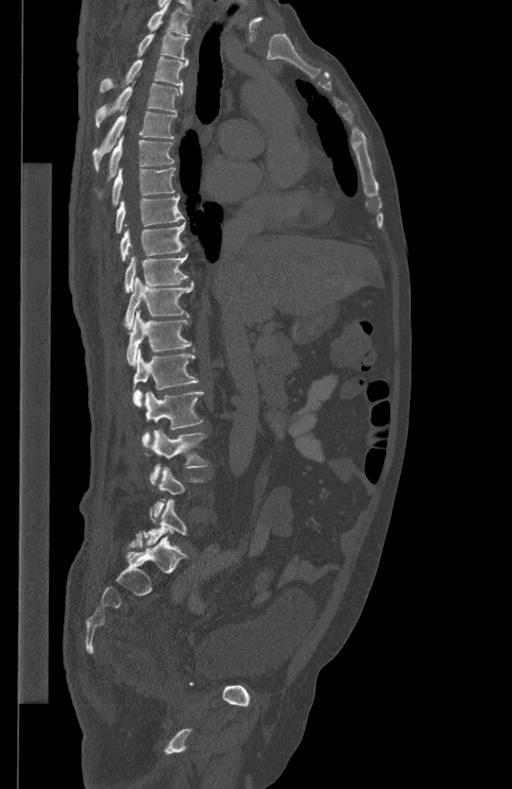 Computed tomography of the spine; sagittal view; 512x789 px
Boxes are (x1, y1, x2, y2) in pixels. Each vertebra is boxed only on the slices from the first to the last where its cross-section reaches a third of its largest, so a slice outside that range leaves it unboxed. Vertebrae labeled: T1 at (147, 0, 194, 35), T2 at (137, 33, 189, 58), T3 at (99, 56, 188, 91), T4 at (95, 84, 183, 127), T5 at (92, 107, 177, 170), T6 at (99, 137, 175, 195), T7 at (112, 167, 176, 206), T8 at (116, 195, 184, 234), T9 at (120, 223, 185, 260), T10 at (124, 254, 189, 292), T11 at (124, 277, 194, 329), T12 at (126, 311, 191, 365), L1 at (133, 349, 198, 407), L2 at (141, 392, 204, 449), L3 at (150, 429, 208, 484), L5 at (144, 499, 186, 545).